CT, spine · Sagittal slice 232/512 · scan covers 17 annotated vertebrae
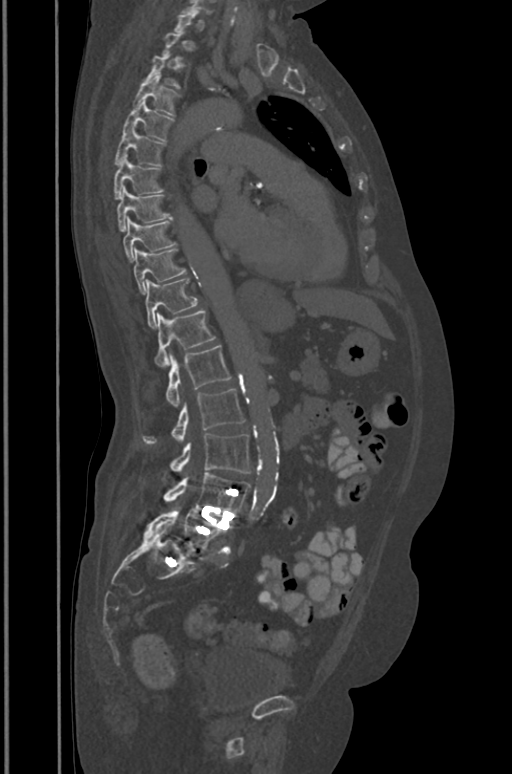 A vertebra gets a box only on the slices from the first to the last where its cross-section is at least a third of its largest; on a slice outside that range it gets none.
<vertebrae><v name="T4" x1="134" y1="72" x2="177" y2="115"/><v name="T5" x1="123" y1="99" x2="173" y2="139"/><v name="T6" x1="115" y1="127" x2="164" y2="166"/><v name="T7" x1="114" y1="155" x2="161" y2="199"/><v name="T8" x1="116" y1="187" x2="169" y2="231"/><v name="T9" x1="123" y1="217" x2="174" y2="259"/><v name="T10" x1="134" y1="248" x2="185" y2="294"/><v name="T11" x1="145" y1="279" x2="197" y2="327"/><v name="T12" x1="154" y1="310" x2="214" y2="367"/><v name="L1" x1="166" y1="345" x2="231" y2="407"/><v name="L2" x1="143" y1="389" x2="244" y2="442"/><v name="L3" x1="170" y1="433" x2="250" y2="473"/><v name="L4" x1="164" y1="472" x2="250" y2="513"/><v name="L5" x1="148" y1="506" x2="226" y2="550"/></vertebrae>